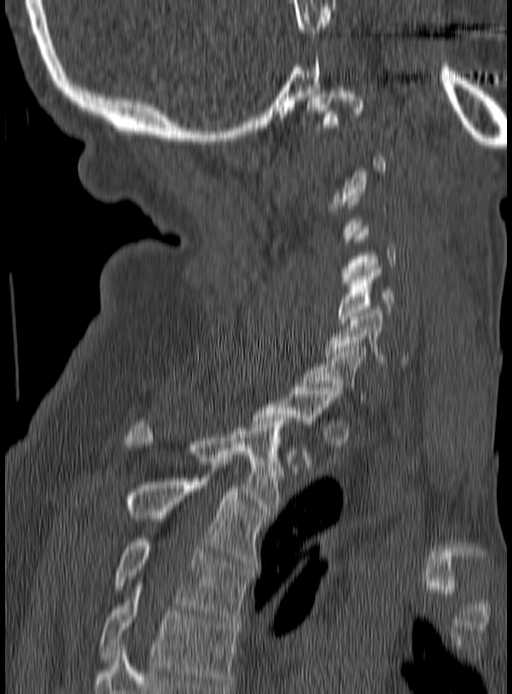

CT spine — sagittal view — W/L 1800/400 HU — 512x694 px
Each vertebra is boxed only on the slices from the first to the last where its cross-section reaches a third of its largest, so a slice outside that range leaves it unboxed.
<vertebrae><v name="C1" x1="308" y1="84" x2="364" y2="127"/><v name="C4" x1="342" y1="226" x2="396" y2="289"/><v name="C5" x1="338" y1="266" x2="393" y2="322"/><v name="C6" x1="324" y1="307" x2="411" y2="366"/><v name="C7" x1="303" y1="347" x2="367" y2="403"/><v name="T1" x1="252" y1="387" x2="339" y2="460"/><v name="T2" x1="128" y1="418" x2="288" y2="514"/><v name="T3" x1="125" y1="475" x2="264" y2="565"/><v name="T4" x1="114" y1="539" x2="250" y2="619"/><v name="T5" x1="101" y1="586" x2="237" y2="686"/></vertebrae>